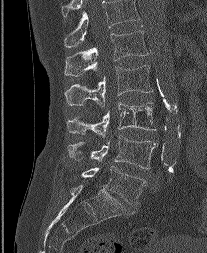 Spine CT · sagittal reformat · 207x253 px

The highest labeled vertebra in this scan is L1; the lowest is L5.
<vertebrae><v name="L1" x1="64" y1="25" x2="147" y2="76"/><v name="L2" x1="65" y1="65" x2="152" y2="105"/><v name="L3" x1="67" y1="102" x2="155" y2="137"/><v name="L4" x1="67" y1="135" x2="157" y2="169"/><v name="L5" x1="81" y1="166" x2="146" y2="204"/></vertebrae>